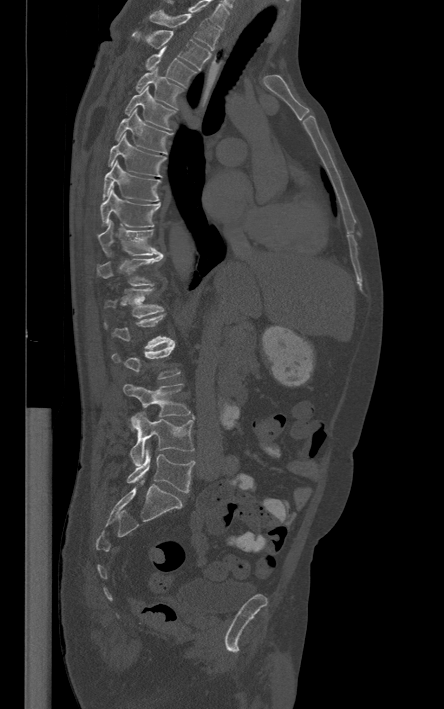
CT. sagittal view. Bone window (WL 400, WW 1800)

Boxes: x1:y1:x2:y2 in pixels. Not every vertebra on this slice has a box: a vertebra is boxed only from the first to the last slice where its cross-section is at least a third of its largest, and this slice is outside that range for at least one of them. In this scan, the topmost labeled vertebra is T1 and the lowest is L5. Vertebrae labeled: T1 at 149:10:218:50, T2 at 132:30:210:69, T3 at 146:48:195:86, T4 at 136:66:183:108, T5 at 124:86:175:130, T6 at 116:109:173:154, T7 at 109:132:165:176, T8 at 102:161:160:201, T9 at 100:190:160:227, T10 at 97:221:160:256, T11 at 96:254:163:286, T12 at 105:288:163:318, L3 at 123:384:190:416, L4 at 129:412:194:465, L5 at 127:448:194:492.